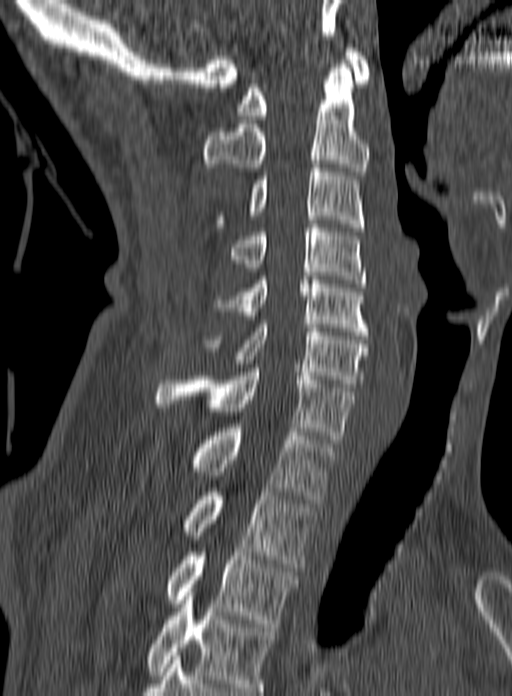 Spine computed tomography — sagittal view — Bone window (WL 400, WW 1800)
In the table, x1 and y1 are a box's top-left corner and x2 and y2 its bottom-right corner, in pixels.
Labels in this scan begin with C1 at the top and end with T3 at the bottom.
| vertebra | x1 | y1 | x2 | y2 |
|---|---|---|---|---|
| C1 | 237 | 48 | 370 | 119 |
| C2 | 203 | 64 | 368 | 175 |
| C3 | 217 | 164 | 364 | 231 |
| C4 | 230 | 224 | 366 | 287 |
| C5 | 213 | 280 | 368 | 335 |
| C6 | 201 | 320 | 368 | 387 |
| C7 | 155 | 368 | 354 | 443 |
| T1 | 190 | 428 | 336 | 503 |
| T2 | 184 | 492 | 314 | 567 |
| T3 | 164 | 552 | 298 | 627 |